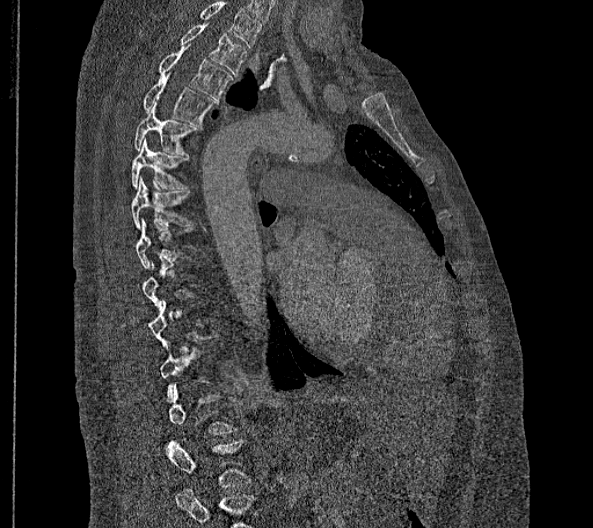

Spine CT — sagittal view
A vertebra is boxed only from the first to the last slice where its cross-section is at least a third of its largest; slices outside that range leave it without a box.
The highest labeled vertebra in this scan is T2; the lowest is L2.
<vertebrae><v name="T2" x1="180" y1="23" x2="247" y2="76"/><v name="T3" x1="158" y1="46" x2="232" y2="99"/><v name="T4" x1="143" y1="73" x2="215" y2="126"/><v name="T5" x1="134" y1="103" x2="197" y2="156"/><v name="T6" x1="131" y1="138" x2="189" y2="189"/><v name="T7" x1="131" y1="175" x2="193" y2="228"/><v name="L2" x1="167" y1="440" x2="250" y2="487"/></vertebrae>